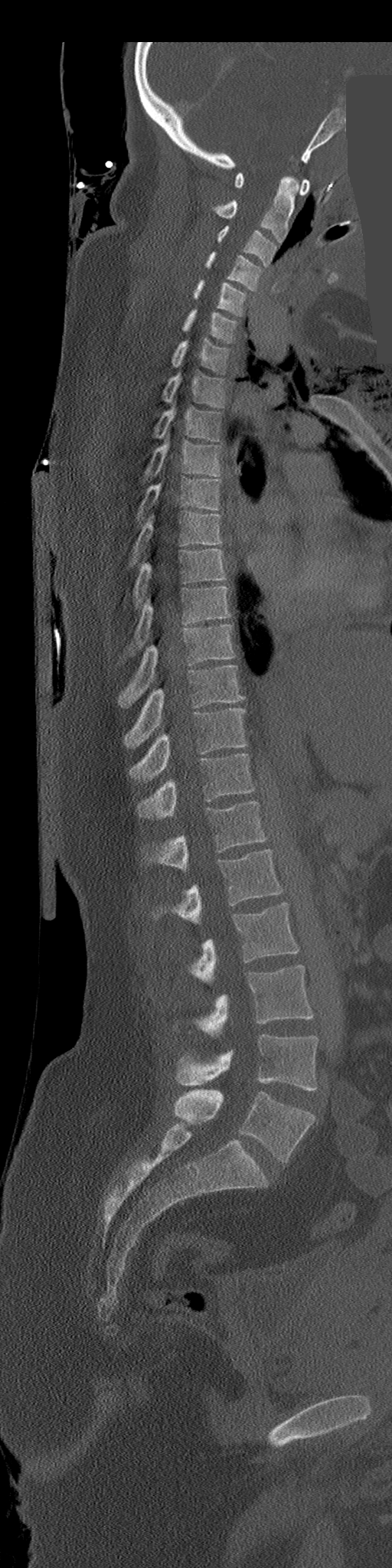

Computed tomography of the spine. sagittal view. image 206 mm wide. 392x1568 px. a uniform gray block covers part of the image
<vertebrae><v name="C1" x1="234" y1="171" x2="310" y2="196"/><v name="C2" x1="214" y1="175" x2="299" y2="241"/><v name="C3" x1="217" y1="226" x2="276" y2="266"/><v name="C4" x1="205" y1="252" x2="261" y2="291"/><v name="C5" x1="193" y1="280" x2="245" y2="315"/><v name="C6" x1="181" y1="309" x2="237" y2="342"/><v name="C7" x1="171" y1="338" x2="228" y2="373"/><v name="T1" x1="162" y1="371" x2="224" y2="407"/><v name="T2" x1="155" y1="408" x2="220" y2="441"/><v name="T3" x1="145" y1="434" x2="220" y2="478"/><v name="T4" x1="138" y1="479" x2="220" y2="518"/><v name="T5" x1="128" y1="511" x2="220" y2="567"/><v name="T6" x1="134" y1="549" x2="227" y2="607"/><v name="T7" x1="128" y1="586" x2="230" y2="652"/><v name="T8" x1="119" y1="625" x2="234" y2="707"/><v name="T9" x1="124" y1="665" x2="243" y2="748"/><v name="T10" x1="130" y1="708" x2="247" y2="782"/><v name="T11" x1="138" y1="754" x2="255" y2="818"/><v name="T12" x1="145" y1="802" x2="266" y2="870"/><v name="L1" x1="153" y1="849" x2="282" y2="925"/><v name="L2" x1="189" y1="903" x2="299" y2="984"/><v name="L3" x1="194" y1="965" x2="314" y2="1037"/><v name="L4" x1="175" y1="1034" x2="318" y2="1090"/><v name="L5" x1="174" y1="1089" x2="315" y2="1162"/></vertebrae>